Spine CT; Sagittal slice 85/171
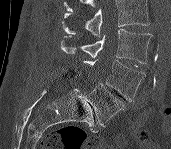 Boxes are (x1, y1, x2, y2) in pixels.
A vertebra cut off by the top edge of the scan is not labeled and has no box.
Vertebra bounding boxes:
- L3: (60, 29, 152, 63)
- L4: (82, 59, 146, 102)
- L5: (83, 83, 123, 126)